CT spine · the image is 500 mm wide · Sagittal slice 230/512
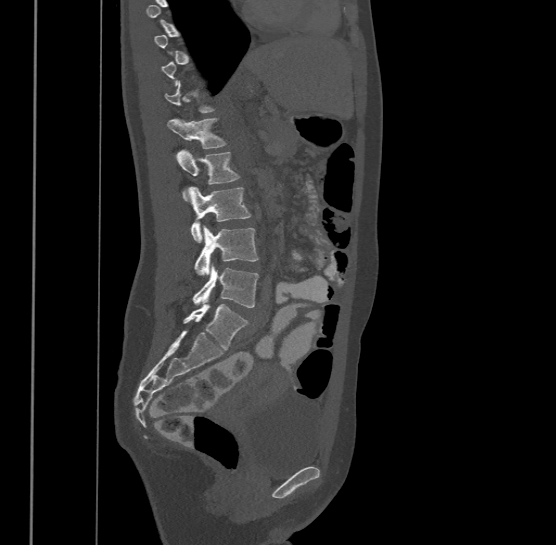

Box edges are left/top/right/bottom in pixels. A vertebra gets a box only on the slices from the first to the last where its cross-section is at least a third of its largest; on a slice outside that range it gets none. In this scan, the topmost labeled vertebra is T9 and the lowest is L4. The labeled vertebrae in this slice are: T12 at left=167, top=116, right=227, bottom=148, L1 at left=178, top=148, right=240, bottom=200, L2 at left=188, top=186, right=251, bottom=241, L3 at left=194, top=225, right=258, bottom=275, L4 at left=192, top=263, right=259, bottom=307.